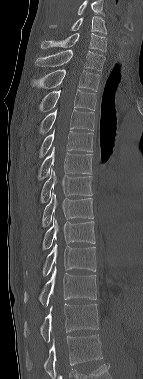
CT · sagittal view · 143x379 px
Labels in this scan begin with C6 at the top and end with T12 at the bottom.
<vertebrae><v name="C6" x1="49" y1="16" x2="106" y2="34"/><v name="C7" x1="41" y1="33" x2="106" y2="51"/><v name="T1" x1="35" y1="50" x2="105" y2="71"/><v name="T2" x1="30" y1="69" x2="100" y2="91"/><v name="T3" x1="39" y1="89" x2="95" y2="111"/><v name="T4" x1="39" y1="109" x2="94" y2="134"/><v name="T5" x1="39" y1="129" x2="93" y2="157"/><v name="T6" x1="38" y1="147" x2="91" y2="180"/><v name="T7" x1="40" y1="167" x2="92" y2="203"/><v name="T8" x1="42" y1="190" x2="93" y2="226"/><v name="T9" x1="42" y1="217" x2="95" y2="249"/><v name="T10" x1="43" y1="243" x2="96" y2="276"/><v name="T11" x1="24" y1="266" x2="96" y2="306"/><v name="T12" x1="23" y1="303" x2="98" y2="342"/></vertebrae>